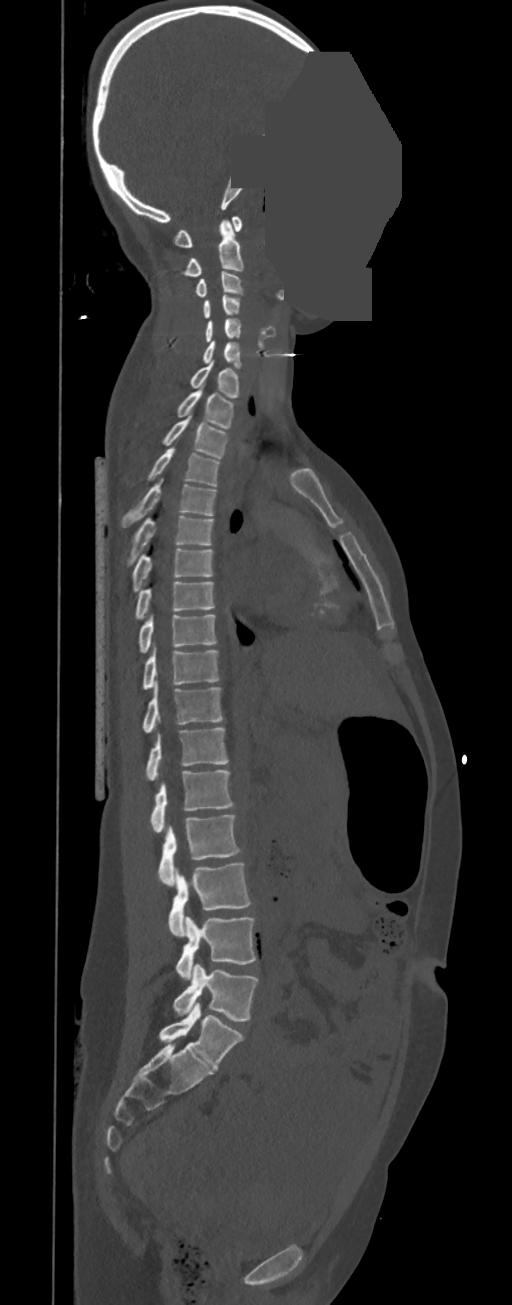 CT, spine — sagittal view — 512x1305 px — an area of the scan was removed and filled with constant pixels. Boxes: x1:y1:x2:y2 in pixels.
In these labels the spine has no T12: the thoracic vertebrae end at T11, and L1 comes next.
Vertebra bounding boxes:
- C1: 174:216:242:247
- C2: 183:220:243:275
- C3: 194:271:243:297
- C4: 203:295:240:318
- C5: 205:319:241:341
- C6: 202:340:242:368
- C7: 190:361:239:398
- T1: 177:387:234:428
- T2: 161:416:228:458
- T3: 146:448:220:486
- T4: 122:478:217:527
- T5: 124:516:214:566
- T6: 133:548:212:591
- T7: 136:582:214:618
- T8: 139:615:217:653
- T9: 143:648:220:689
- T10: 143:685:223:732
- T11: 146:727:228:780
- L1: 150:769:233:832
- L2: 158:815:240:886
- L3: 168:862:250:936
- L4: 175:916:256:979
- L5: 174:964:258:1019